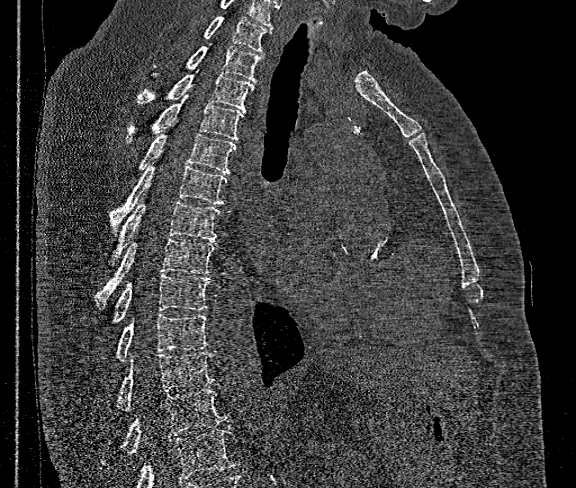

CT, spine · sagittal view. Coordinates as <box>x1,y1,x2,y2</box>.
Vertebrae that run past the bottom of the scan are left unlabeled.
In this scan, the topmost labeled vertebra is T1 and the lowest is T12.
Vertebra bounding boxes:
- T1: <box>205,16,271,52</box>
- T2: <box>187,45,262,81</box>
- T3: <box>137,70,254,111</box>
- T4: <box>126,96,243,142</box>
- T5: <box>139,133,235,174</box>
- T6: <box>110,165,227,231</box>
- T7: <box>117,200,219,255</box>
- T8: <box>96,239,215,307</box>
- T9: <box>114,274,210,321</box>
- T10: <box>117,314,207,361</box>
- T11: <box>117,352,215,409</box>
- T12: <box>121,389,226,454</box>